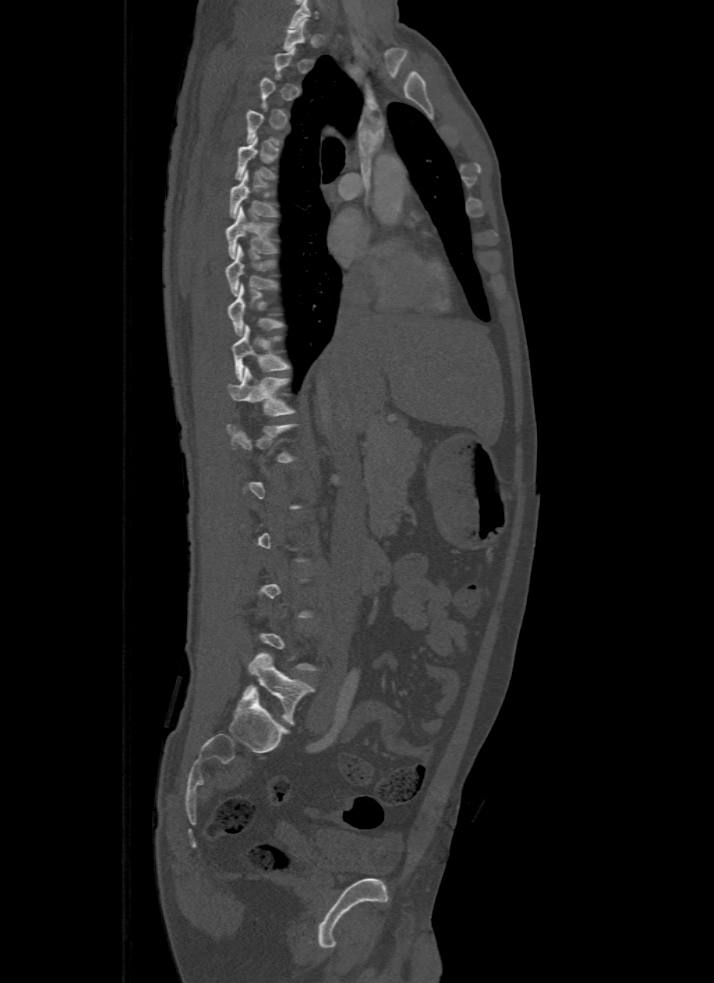 Computed tomography of the spine · sagittal view · 500 mm image width
Box edges are left/top/right/bottom in pixels.
Each vertebra is boxed only on the slices from the first to the last where its cross-section reaches a third of its largest, so a slice outside that range leaves it unboxed.
Vertebra bounding boxes:
- T6: left=229, top=170, right=275, bottom=218
- T7: left=226, top=205, right=275, bottom=258
- T8: left=225, top=246, right=275, bottom=296
- T10: left=232, top=325, right=289, bottom=379
- T11: left=229, top=366, right=295, bottom=415
- L5: left=246, top=653, right=313, bottom=724